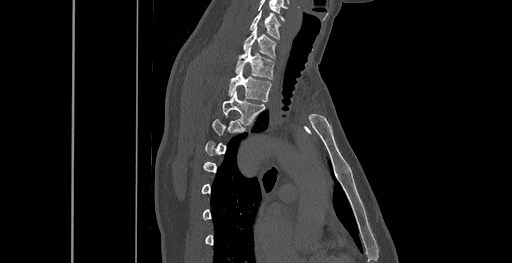

Computed tomography of the spine · sagittal reformat · W/L 1800/400 HU

Box edges are left/top/right/bottom in pixels.
Not every vertebra on this slice has a box: a vertebra is boxed only from the first to the last slice where its cross-section is at least a third of its largest, and this slice is outside that range for at least one of them.
| vertebra | x1 | y1 | x2 | y2 |
|---|---|---|---|---|
| C6 | 250 | 11 | 280 | 39 |
| C7 | 243 | 27 | 275 | 58 |
| T1 | 236 | 47 | 274 | 79 |
| T2 | 228 | 69 | 271 | 101 |
| T3 | 223 | 91 | 265 | 123 |